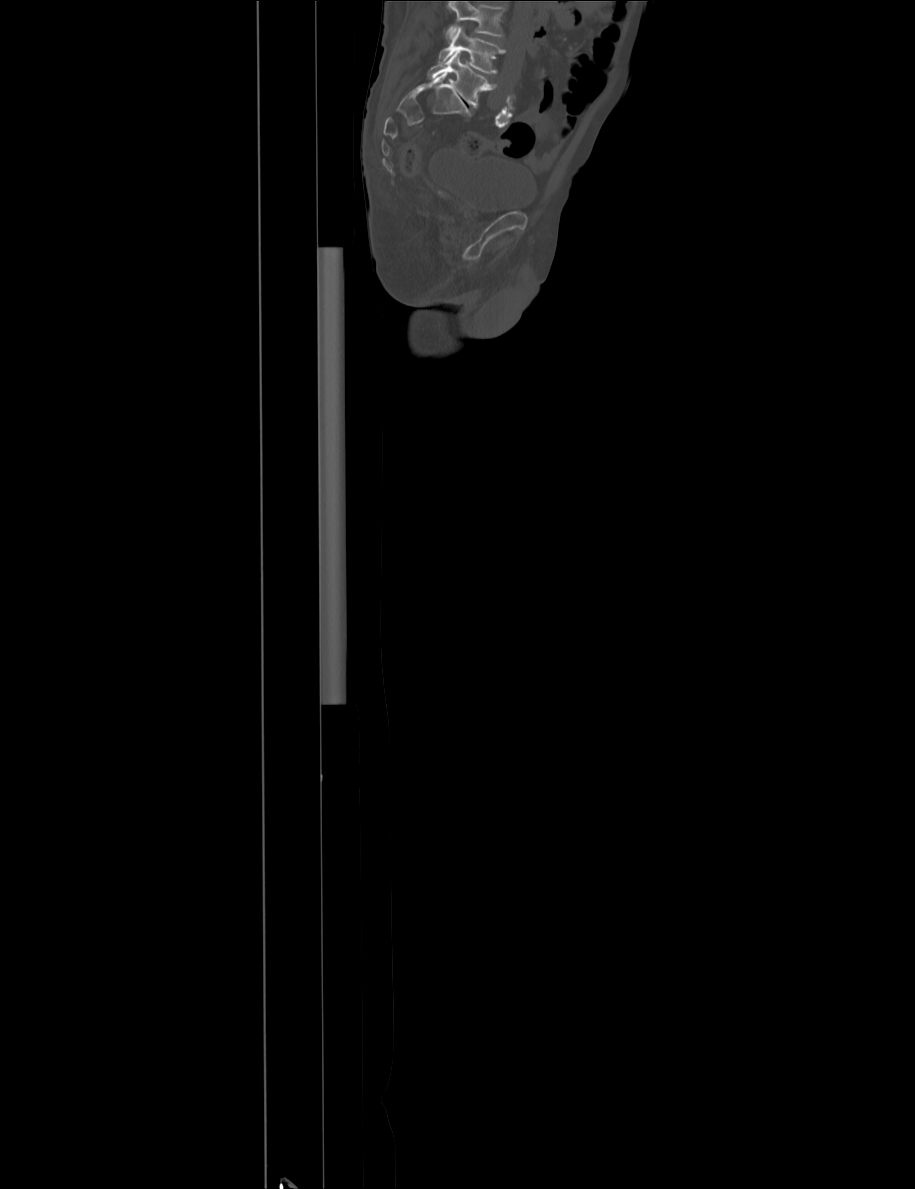 CT, spine. sagittal view. Bone window (WL 400, WW 1800). 915x1189 px. Box edges are left/top/right/bottom in pixels. A vertebra cut off by the top edge of the scan is not labeled and has no box. 2 vertebrae labeled — L4 at left=438, top=26, right=505, bottom=73; L5 at left=427, top=51, right=496, bottom=107.